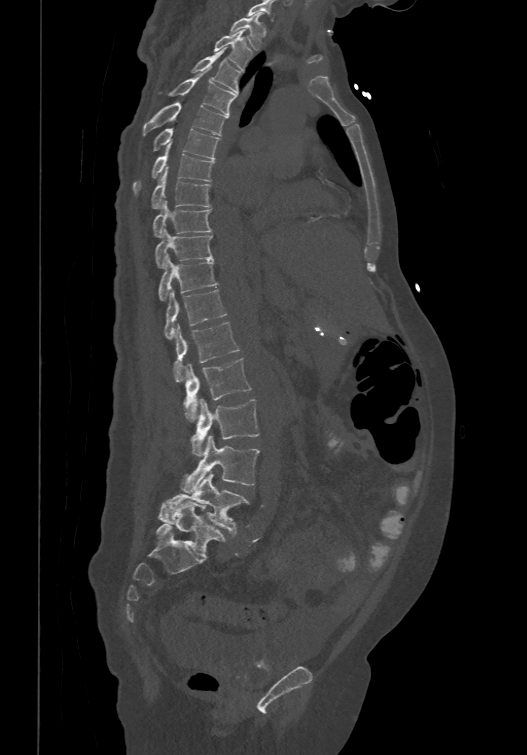

CT, spine; image width 474 mm; sagittal view; W/L 1800/400 HU
Boxes below are [x1, y1, x2, y2] in pixels.
The highest labeled vertebra in this scan is T1; the lowest is L6.
In these labels the spine has an L6, a sixth lumbar vertebra below L5.
{"vertebrae":{"L6":[156,501,226,557],"L5":[158,473,249,536],"L4":[180,435,260,492],"L3":[191,398,259,456],"L2":[183,356,251,421],"L1":[173,321,240,382],"T12":[164,288,226,337],"T11":[157,255,218,299],"T10":[155,227,213,266],"T9":[152,200,211,235],"T8":[151,167,211,207],"T7":[132,148,215,194],"T6":[152,127,220,157],"T5":[142,101,227,135],"T4":[168,67,237,114],"T3":[191,47,240,92],"T2":[213,30,252,69],"T1":[230,12,264,49]}}